Computed tomography of the spine · Sagittal slice 260/512 · bone-window reconstruction · 473 mm across the image · 25 vertebrae labeled in this scan · part of the image is a flat gray fill, not anatomy
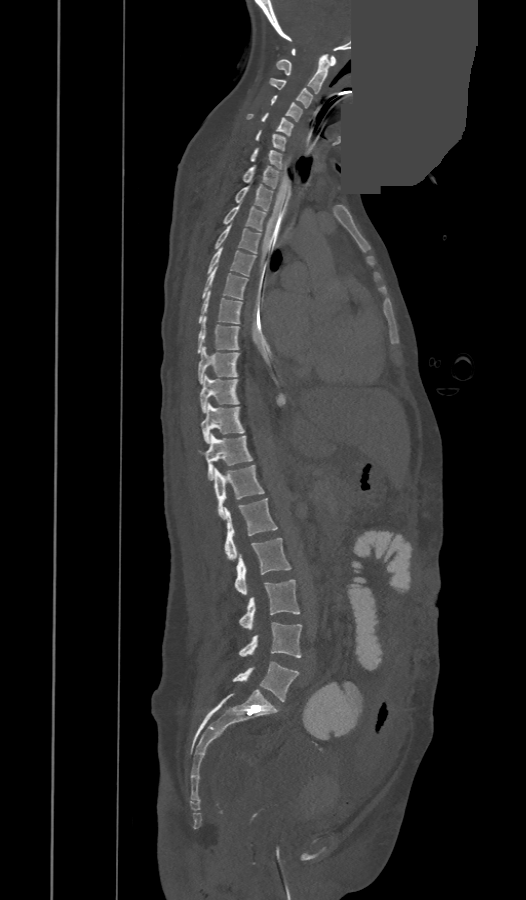 Boxes below are [x1, y1, x2, y2] in pixels.
In these labels the spine has a T13, a thirteenth thoracic vertebra, between T12 and L1.
{"vertebrae":{"L5":[232,661,298,701],"L4":[239,622,301,657],"L3":[239,579,299,630],"L2":[234,538,291,595],"L1":[225,498,277,560],"T13":[215,465,264,518],"T12":[200,435,253,479],"T11":[200,403,244,444],"T10":[200,376,239,412],"T9":[198,347,239,384],"T8":[197,317,239,353],"T7":[199,291,242,324],"T6":[202,266,247,299],"T5":[207,247,256,276],"T4":[215,223,260,254],"T3":[224,205,266,230],"T2":[235,185,272,210],"T1":[243,166,279,188],"C7":[251,148,282,169],"C6":[256,130,285,150],"C5":[246,112,294,136],"C4":[271,96,302,121],"C3":[270,78,312,108],"C2":[276,54,329,94],"C1":[292,49,336,66]}}